Computed tomography of the spine · sagittal plane, index 147 · Bone window (WL 400, WW 1800) · 287x270 px · 287 mm across the image · a region is blanked to uniform black, ending in a straight edge
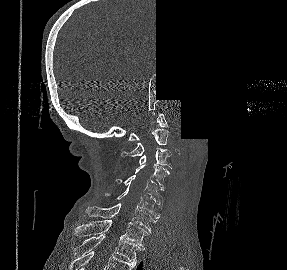 Columns x1, y1, x2, y2 give each box's top-left and bottom-right pixels.
| vertebra | x1 | y1 | x2 | y2 |
|---|---|---|---|---|
| C1 | 128 | 113 | 168 | 140 |
| C2 | 121 | 129 | 168 | 156 |
| C3 | 139 | 148 | 171 | 169 |
| C4 | 135 | 164 | 169 | 190 |
| C5 | 115 | 175 | 162 | 205 |
| C6 | 105 | 187 | 161 | 218 |
| C7 | 85 | 203 | 157 | 231 |
| T1 | 74 | 220 | 148 | 247 |
| T2 | 80 | 234 | 144 | 264 |